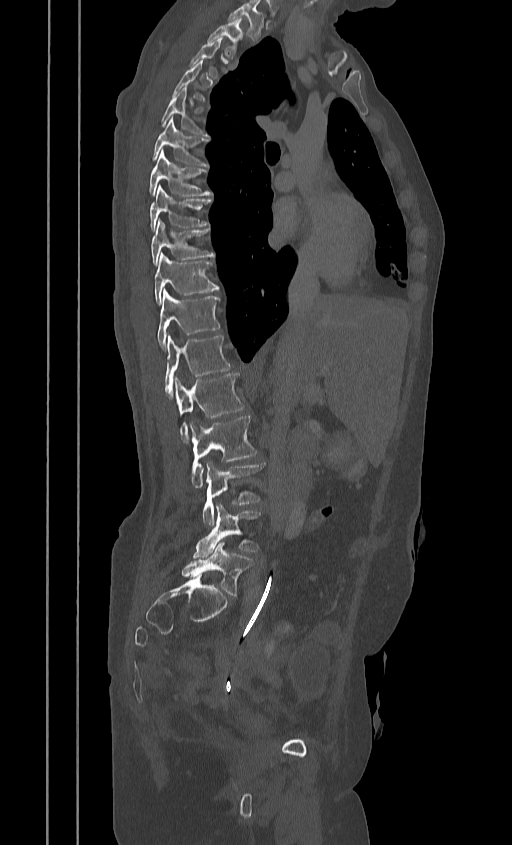 CT spine; sagittal view; bone window

Each box given as x1,y1,x2,y2. A vertebra is boxed only from the first to the last slice where its cross-section is at least a third of its largest; slices outside that range leave it without a box. The highest labeled vertebra in this scan is T2; the lowest is L5. 15 vertebrae labeled — T2 at x1=208, y1=17, x2=241, y2=54; T3 at x1=189, y1=37, x2=222, y2=78; T5 at x1=161, y1=88, x2=207, y2=135; T6 at x1=150, y1=116, x2=208, y2=166; T7 at x1=148, y1=151, x2=212, y2=196; T8 at x1=149, y1=185, x2=211, y2=230; T9 at x1=150, y1=220, x2=213, y2=266; T10 at x1=153, y1=253, x2=219, y2=304; T11 at x1=157, y1=289, x2=220, y2=350; T12 at x1=165, y1=335, x2=231, y2=396; L1 at x1=174, y1=373, x2=245, y2=442; L2 at x1=189, y1=416, x2=257, y2=486; L3 at x1=202, y1=461, x2=264, y2=524; L4 at x1=193, y1=503, x2=261, y2=558; L5 at x1=181, y1=541, x2=253, y2=596.